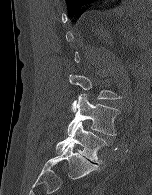
CT, spine — sagittal view

Each box given as x1,y1,x2,y2. Each vertebra is boxed only on the slices from the first to the last where its cross-section reaches a third of its largest, so a slice outside that range leaves it unboxed. Vertebrae labeled: L5 at x1=55, y1=121, x2=107, y2=163, L4 at x1=67, y1=94, x2=120, y2=135, L3 at x1=69, y1=74, x2=121, y2=112.